CT spine; sagittal view
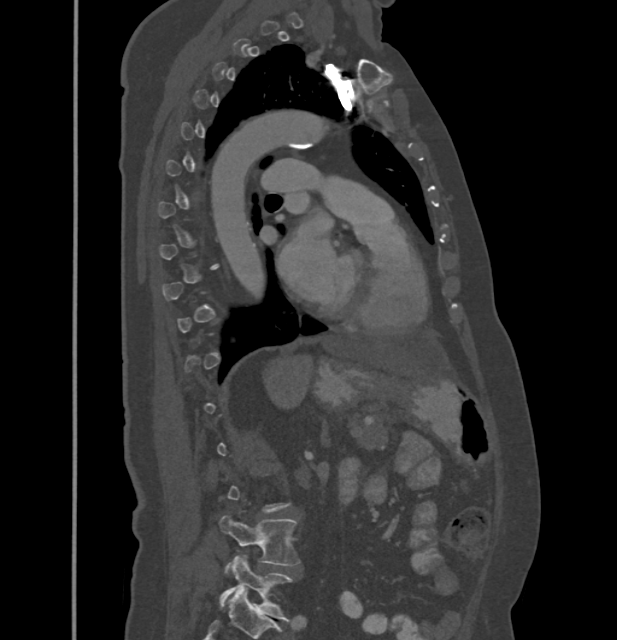

Each box is [x1, y1, x2, y2] in pixels: top-left corner, then bottom-right corner.
A vertebra gets a box only on the slices from the first to the last where its cross-section is at least a third of its largest; on a slice outside that range it gets none.
{"vertebrae":{"L5":[219,556,292,621],"L4":[219,515,300,572]}}